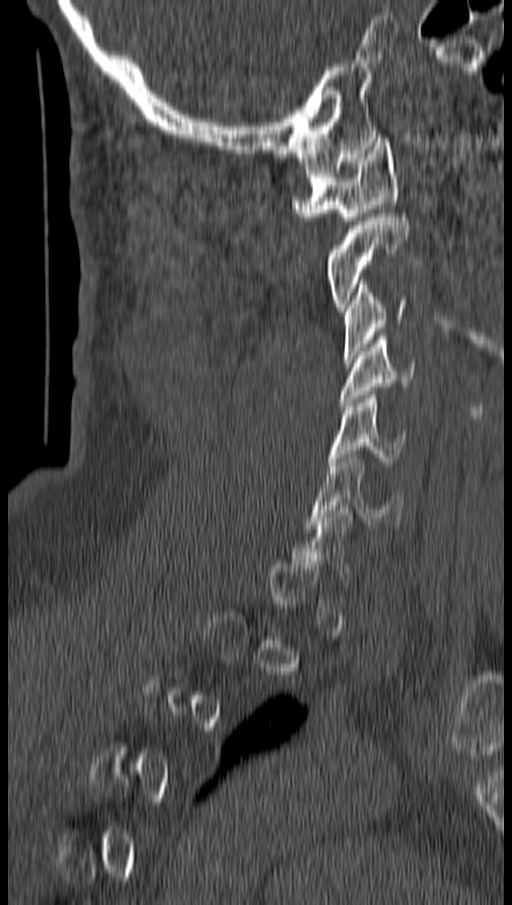
CT spine. sagittal view. W/L 1800/400 HU
Each box given as x1,y1,x2,y2.
A vertebra is boxed only from the first to the last slice where its cross-section is at least a third of its largest; slices outside that range leave it without a box.
C6: x1=308, y1=454, x2=406, y2=528
C5: x1=330, y1=391, x2=407, y2=465
C4: x1=339, y1=336, x2=414, y2=406
C3: x1=342, y1=280, x2=408, y2=362
C2: x1=327, y1=213, x2=408, y2=311
C1: x1=292, y1=138, x2=398, y2=220